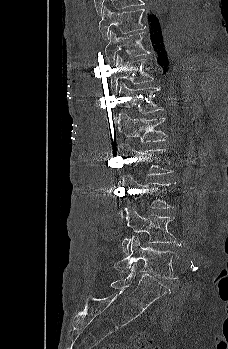
CT, spine. sagittal view. 228x349 px

Box edges are left/top/right/bottom in pixels.
Vertebra bounding boxes:
- T9: left=98, top=6, right=146, bottom=40
- T10: left=105, top=30, right=150, bottom=65
- T11: left=110, top=54, right=154, bottom=93
- T12: left=115, top=81, right=163, bottom=127
- L1: left=114, top=113, right=167, bottom=145
- L2: left=117, top=143, right=173, bottom=185
- L3: left=118, top=174, right=176, bottom=220
- L4: left=121, top=207, right=183, bottom=254
- L5: left=113, top=236, right=180, bottom=279